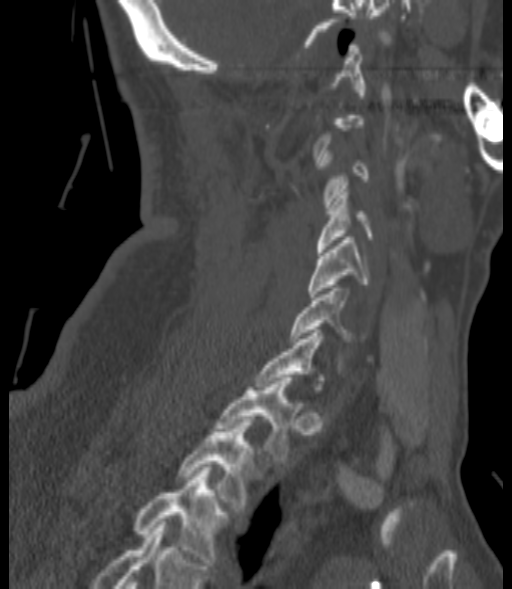

CT — image width 200 mm — sagittal view — 512x589 px
Each box given as x1,y1,x2,y2.
Each vertebra is boxed only on the slices from the first to the last where its cross-section reaches a third of its largest, so a slice outside that range leaves it unboxed.
| vertebra | x1 | y1 | x2 | y2 |
|---|---|---|---|---|
| C4 | 318 | 186 | 371 | 252 |
| C5 | 308 | 237 | 370 | 297 |
| C6 | 290 | 288 | 366 | 341 |
| T1 | 216 | 378 | 294 | 463 |
| T2 | 177 | 419 | 253 | 511 |
| T3 | 134 | 467 | 228 | 565 |